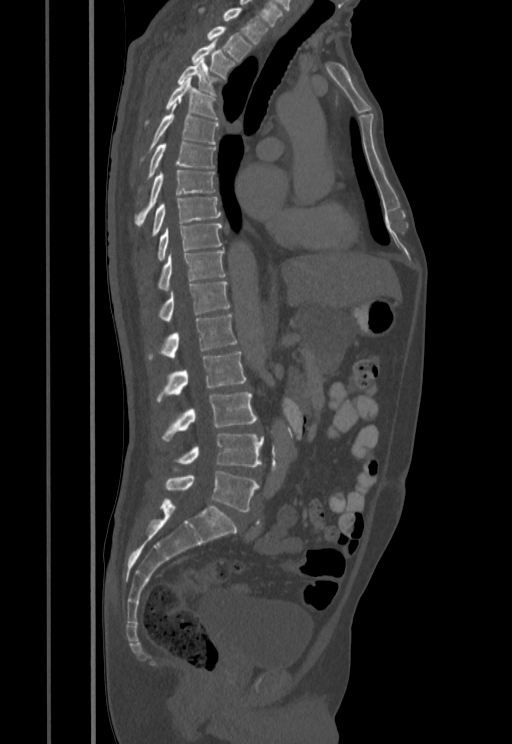

Spine CT — sagittal view
Each row gives a vertebra's box as x1, y1, x2, y2 in pixels: top-left corner, then bottom-right corner.
| vertebra | x1 | y1 | x2 | y2 |
|---|---|---|---|---|
| T1 | 200 | 8 | 269 | 44 |
| T2 | 207 | 27 | 252 | 61 |
| T3 | 191 | 41 | 235 | 78 |
| T4 | 178 | 59 | 218 | 95 |
| T5 | 145 | 77 | 217 | 124 |
| T6 | 142 | 104 | 218 | 159 |
| T7 | 147 | 142 | 215 | 178 |
| T8 | 136 | 170 | 215 | 224 |
| T9 | 152 | 197 | 221 | 235 |
| T10 | 157 | 224 | 222 | 261 |
| T11 | 159 | 250 | 225 | 290 |
| T12 | 159 | 281 | 230 | 321 |
| L1 | 148 | 314 | 236 | 359 |
| L2 | 156 | 352 | 245 | 401 |
| L3 | 162 | 392 | 257 | 441 |
| L4 | 177 | 433 | 263 | 466 |
| L5 | 165 | 471 | 259 | 511 |